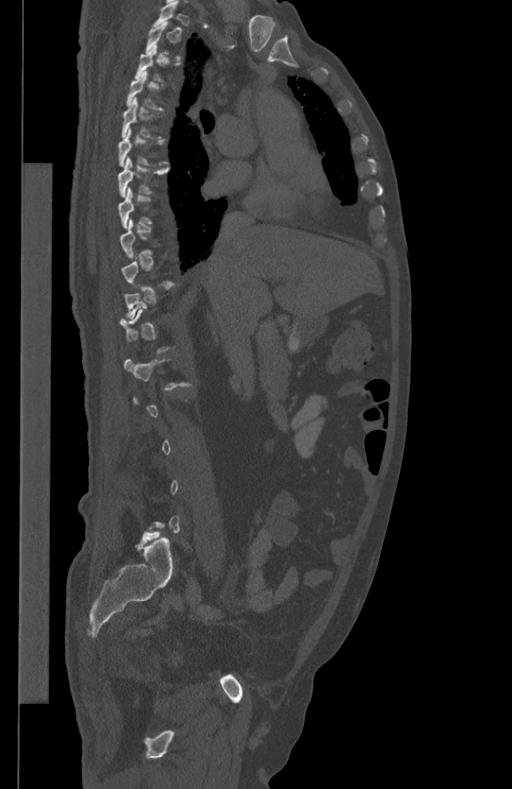 Computed tomography of the spine; sagittal view; 512x789 px
Box values are [left, top, right, bottom] in pixels.
Each vertebra is boxed only on the slices from the first to the last where its cross-section reaches a third of its largest, so a slice outside that range leaves it unboxed.
{"vertebrae":{"T5":[121,98,160,138],"T7":[118,156,169,196]}}